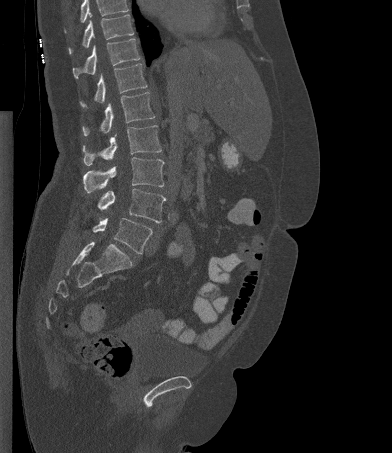
Spine CT. sagittal view

Box edges are left/top/right/bottom in pixels.
Vertebrae that run past the top of the scan are left unlabeled.
| vertebra | x1 | y1 | x2 | y2 |
|---|---|---|---|---|
| L5 | 93 | 218 | 152 | 254 |
| L4 | 97 | 188 | 165 | 222 |
| L3 | 83 | 157 | 164 | 192 |
| L2 | 83 | 125 | 161 | 165 |
| L1 | 82 | 92 | 155 | 135 |
| T12 | 80 | 63 | 147 | 107 |
| T11 | 73 | 38 | 140 | 78 |
| T10 | 68 | 14 | 134 | 54 |